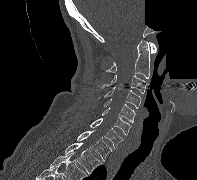
CT spine; the image spans 197 mm across; sagittal view; W/L 1800/400 HU; part of the image has been replaced by a constant value. Each box given as x1,y1,x2,y2.
| vertebra | x1 | y1 | x2 | y2 |
|---|---|---|---|---|
| C1 | 149 | 42 | 156 | 53 |
| C2 | 105 | 39 | 150 | 78 |
| C3 | 100 | 75 | 147 | 93 |
| C4 | 98 | 86 | 141 | 108 |
| C5 | 103 | 99 | 135 | 122 |
| C6 | 102 | 107 | 131 | 134 |
| C7 | 90 | 118 | 123 | 148 |
| T1 | 77 | 130 | 112 | 161 |
| T2 | 65 | 143 | 101 | 173 |